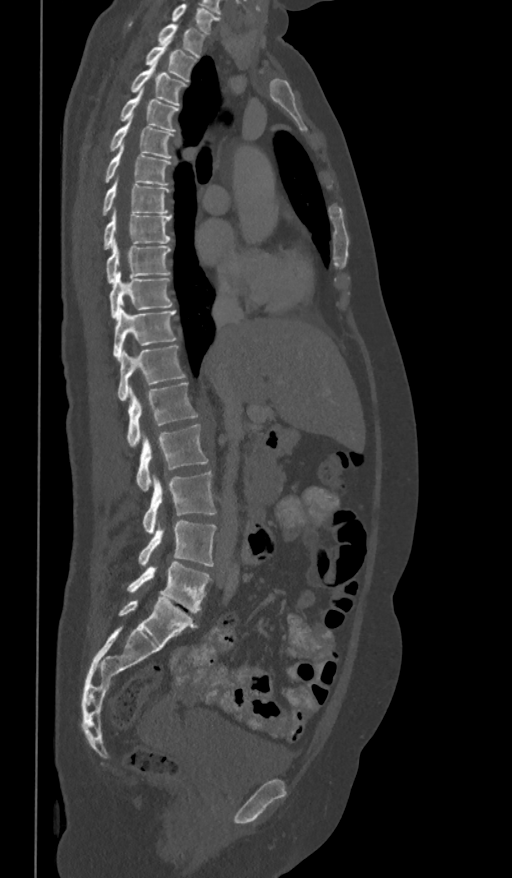 Computed tomography of the spine; sagittal view; bone-window reconstruction; image 361 mm wide
Boxes below are [x1, y1, x2, y2] in pixels.
This scan's labels start at T1 at the top and end at L5 at the bottom.
{"vertebrae":{"T1":[159,23,205,56],"T2":[146,40,196,81],"T3":[130,60,186,105],"T4":[120,88,179,132],"T5":[110,116,173,159],"T6":[105,144,172,185],"T7":[102,176,169,215],"T8":[103,209,170,249],"T9":[106,239,170,284],"T10":[109,272,172,318],"T11":[113,304,177,360],"T12":[118,345,185,401],"L1":[127,382,197,447],"L2":[136,425,207,490],"L3":[143,471,216,534],"L4":[139,520,216,566],"L5":[127,562,210,612]}}